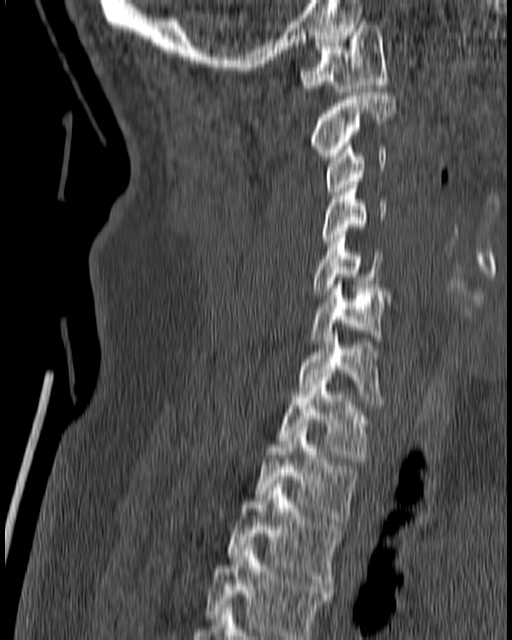

Spine computed tomography. image 180 mm wide. sagittal view. Boxes: x1 y1 x2 y2 (pixel coords, space-separated). Vertebrae labeled: C1 at 300 21 387 91, C2 at 311 92 395 159, C3 at 325 139 387 195, C4 at 322 181 387 248, C5 at 309 235 381 294, C6 at 311 281 392 344, C7 at 297 331 381 404, T1 at 277 377 367 461, T2 at 254 423 358 522, T3 at 228 476 341 589, T4 at 205 544 333 639.